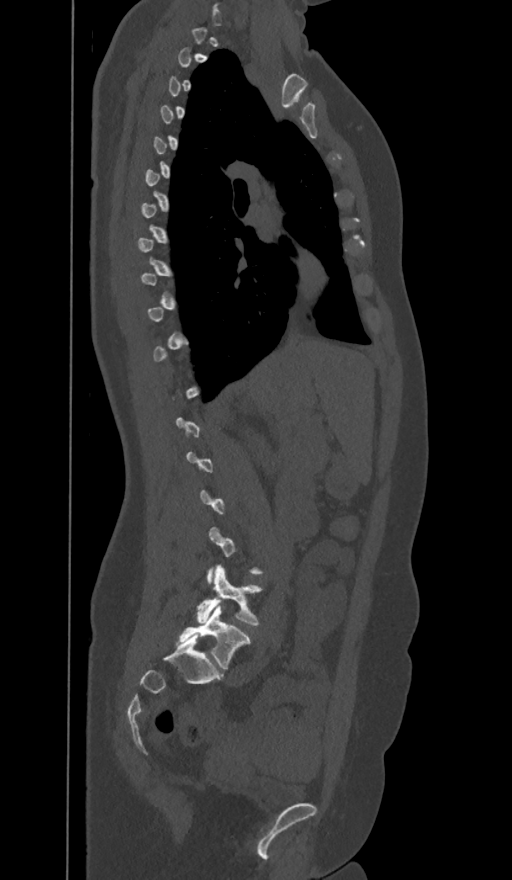 Spine CT; sagittal view; 512x880 px; the image is 374 mm wide

Each box given as x1,y1,x2,y2.
Not every vertebra on this slice has a box: a vertebra is boxed only from the first to the last slice where its cross-section is at least a third of its largest, and this slice is outside that range for at least one of them.
In these labels the spine has an L6, a sixth lumbar vertebra below L5.
L5: x1=197, y1=566, x2=263, y2=626
L6: x1=176, y1=606, x2=251, y2=669